Spine computed tomography; sagittal reformat; Bone window (WL 400, WW 1800); 512x782 px
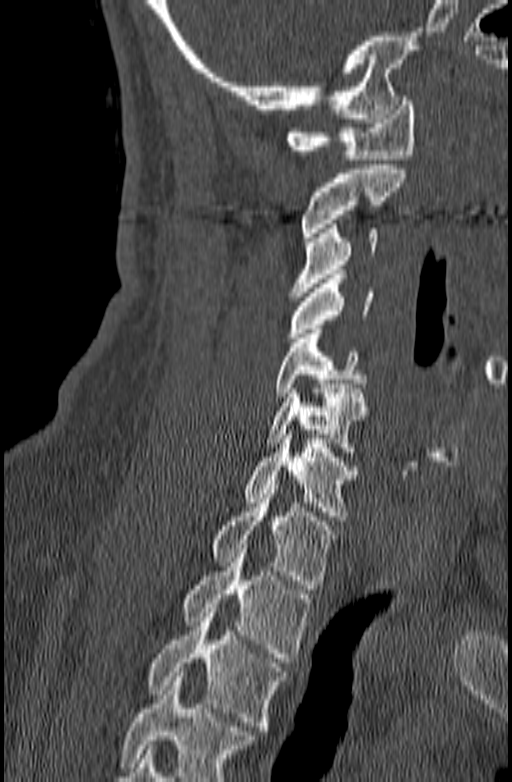 A vertebra cut off by the bottom edge of the scan is not labeled and has no box.
<vertebrae><v name="T3" x1="147" y1="603" x2="287" y2="730"/><v name="T2" x1="183" y1="544" x2="310" y2="662"/><v name="T1" x1="213" y1="485" x2="337" y2="589"/><v name="C7" x1="246" y1="430" x2="358" y2="520"/><v name="C6" x1="264" y1="384" x2="369" y2="456"/><v name="C5" x1="275" y1="329" x2="366" y2="397"/><v name="C4" x1="286" y1="270" x2="375" y2="342"/><v name="C3" x1="290" y1="224" x2="377" y2="296"/><v name="C2" x1="301" y1="165" x2="406" y2="241"/><v name="C1" x1="286" y1="96" x2="414" y2="159"/></vertebrae>